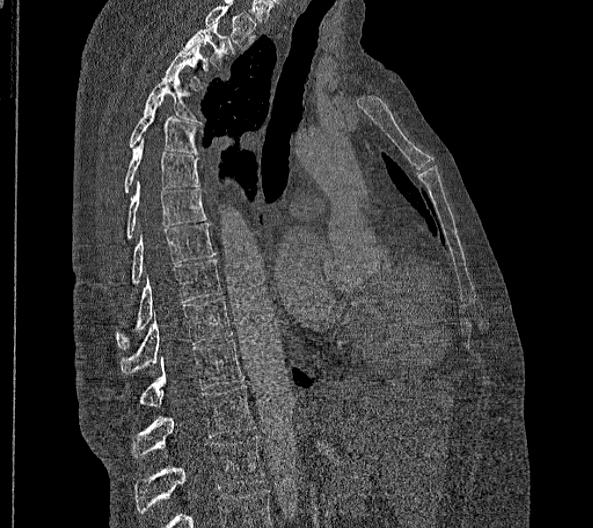 Computed tomography of the spine · sagittal view · Bone window (WL 400, WW 1800)

Boxes are given in columns x1, y1, x2, y2, the pixel coordinates of their top-left and bottom-right corners.
Labels in this scan begin with T2 at the top and end with L2 at the bottom.
These labels give this spine no T12: after T11 the next vertebra is L1.
| vertebra | x1 | y1 | x2 | y2 |
|---|---|---|---|---|
| T2 | 183 | 22 | 234 | 67 |
| T3 | 163 | 43 | 210 | 87 |
| T4 | 143 | 72 | 202 | 123 |
| T5 | 129 | 97 | 198 | 154 |
| T6 | 123 | 139 | 201 | 194 |
| T7 | 125 | 181 | 208 | 241 |
| T8 | 130 | 223 | 216 | 284 |
| T9 | 116 | 259 | 221 | 349 |
| T10 | 119 | 297 | 232 | 372 |
| T11 | 140 | 340 | 244 | 406 |
| L1 | 131 | 385 | 255 | 457 |
| L2 | 134 | 437 | 266 | 512 |